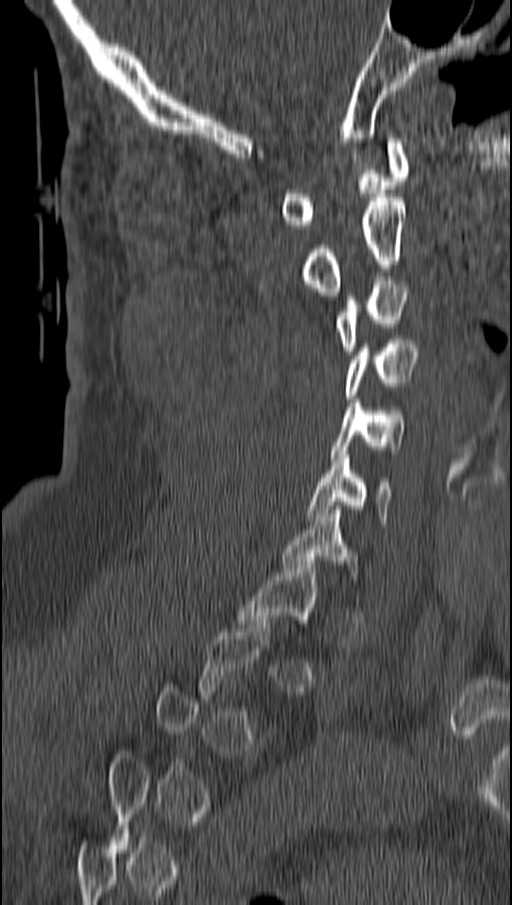 CT. sagittal reformat. bone-window reconstruction
Boxes below are [x1, y1, x2, y2] in pixels.
Not every vertebra on this slice has a box: a vertebra is boxed only from the first to the last slice where its cross-section is at least a third of its largest, and this slice is outside that range for at least one of them.
{"vertebrae":{"C1":[282,138,408,228],"C2":[301,198,405,295],"C3":[336,280,410,355],"C4":[346,340,417,398],"C5":[330,399,405,461],"C6":[308,450,392,524],"T1":[238,561,316,627]}}